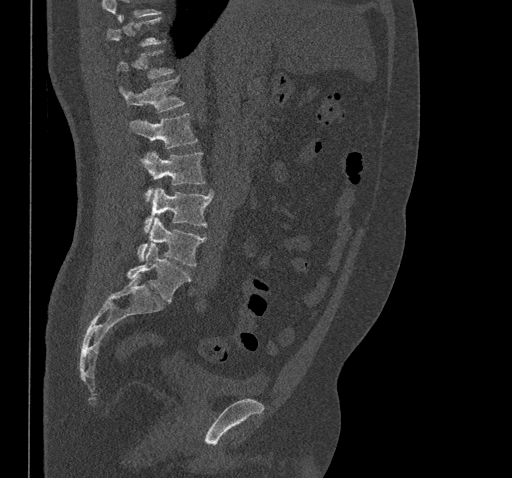

Computed tomography of the spine — 461 mm across the image — sagittal view — bone-window reconstruction — 512x478 px

Boxes below are [x1, y1, x2, y2] in pixels.
A vertebra is boxed only from the first to the last slice where its cross-section is at least a third of its largest; slices outside that range leave it without a box.
{"vertebrae":{"L5":[128,244,191,303],"L4":[138,218,206,266],"L3":[144,188,213,233],"L2":[143,151,205,201],"L1":[129,114,197,148],"T12":[119,79,184,113]}}